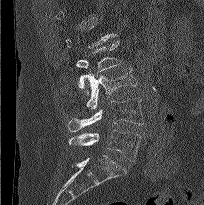

CT, spine — sagittal view — bone window — 204x205 px. Bounding boxes as [x1, y1, x2, y2] in pixel coordinates. Not every vertebra on this slice has a box: a vertebra is boxed only from the first to the last slice where its cross-section is at least a third of its largest, and this slice is outside that range for at least one of them. The labeled vertebrae in this slice are: L2 at [75, 39, 121, 89], L3 at [84, 68, 136, 109], L4 at [68, 98, 144, 131], L5 at [68, 130, 141, 161].